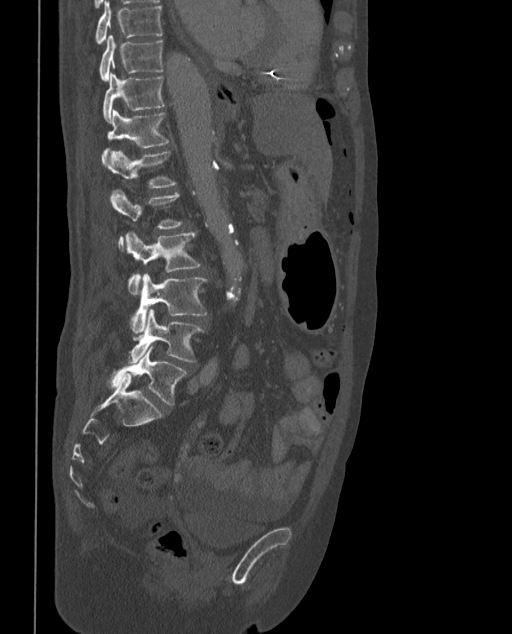 Computed tomography of the spine · sagittal view
Each vertebra maps to its box as [x1, y1, x2, y2], the pixel coordinates of its top-left and bottom-right corners.
These labels give the spine a sixth lumbar vertebra, L6, below L5.
{"vertebrae":{"T9":[95,1,162,43],"T10":[99,36,162,81],"T11":[103,73,165,123],"T12":[101,110,169,163],"L1":[106,151,176,188],"L2":[111,189,183,251],"L3":[125,232,201,294],"L4":[132,273,207,334],"L5":[128,309,203,362],"L6":[109,346,187,405]}}